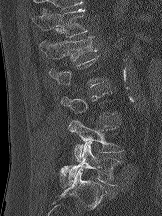

CT spine; sagittal view; 162 mm across the image
Each row gives a vertebra's box as x1, y1, x2, y2 in pixels: top-left corner, then bottom-right corner.
A vertebra is boxed only from the first to the last slice where its cross-section is at least a third of its largest; slices outside that range leave it without a box.
| vertebra | x1 | y1 | x2 | y2 |
|---|---|---|---|---|
| T12 | 32 | 8 | 87 | 37 |
| L1 | 39 | 36 | 97 | 61 |
| L4 | 68 | 119 | 123 | 161 |
| L5 | 59 | 142 | 120 | 187 |